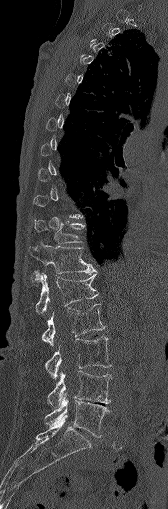

CT spine. sagittal reformat. 168 mm wide
Boxes: x1:y1:x2:y2 in pixels. A vertebra is boxed only from the first to the last slice where its cross-section is at least a third of its largest; slices outside that range leave it without a box. 7 vertebrae labeled — T11 at 34:219:85:244; T12 at 28:239:96:274; L1 at 36:273:98:313; L2 at 42:303:104:346; L3 at 45:336:111:376; L4 at 48:371:111:408; L5 at 45:393:109:436.